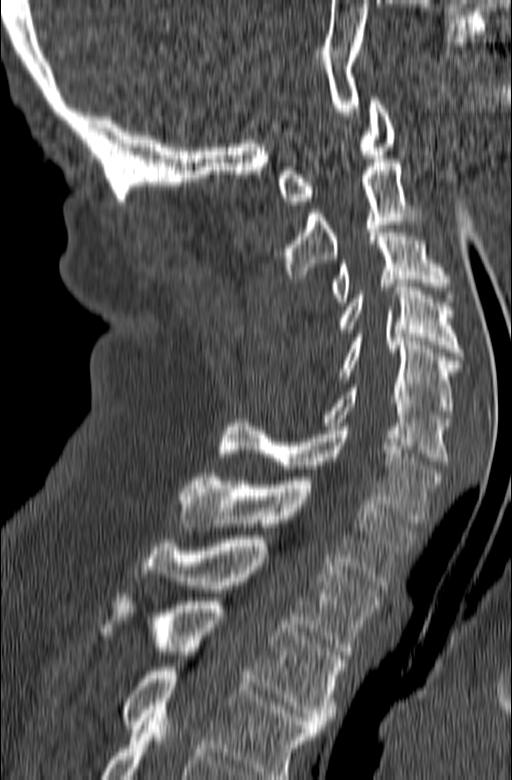

CT, spine · sagittal view · W/L 1800/400 HU · 512x780 px
Bounding boxes as [x1, y1, x2, y2] in pixel coordinates.
This scan's labels start at C1 at the top and end at T3 at the bottom.
Vertebra bounding boxes:
- C1: [277, 97, 394, 205]
- C2: [277, 159, 425, 278]
- C3: [330, 225, 455, 305]
- C4: [336, 283, 462, 356]
- C5: [338, 334, 459, 418]
- C6: [324, 384, 450, 461]
- C7: [218, 419, 441, 523]
- T1: [179, 473, 416, 585]
- T2: [140, 539, 379, 655]
- T3: [99, 593, 344, 728]